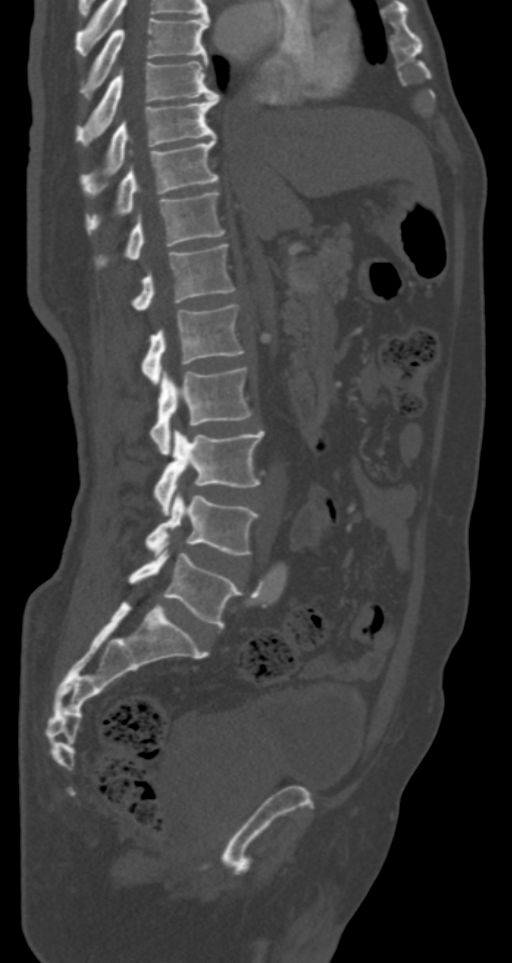 CT — sagittal view — bone-window reconstruction — 512x963 px

Bounding boxes as [x1, y1, x2, y2] in pixel coordinates.
Vertebra bounding boxes:
- T7: [80, 17, 209, 99]
- T8: [76, 60, 218, 145]
- T9: [83, 94, 218, 191]
- T10: [87, 137, 218, 233]
- T11: [98, 191, 225, 266]
- T12: [132, 244, 234, 311]
- L1: [142, 305, 243, 384]
- L2: [149, 367, 252, 454]
- L3: [155, 430, 264, 515]
- L4: [146, 492, 259, 555]
- L5: [128, 549, 243, 627]